CT — sagittal plane, index 92 — W/L 1800/400 HU — 228 mm image width
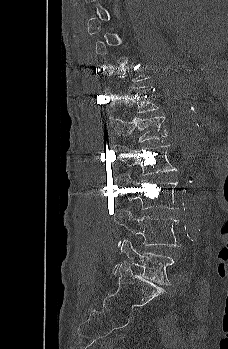 Columns x1, y1, x2, y2 give each box's top-left and bottom-right pixels.
Not every vertebra on this slice has a box: a vertebra is boxed only from the first to the last slice where its cross-section is at least a third of its largest, and this slice is outside that range for at least one of them.
| vertebra | x1 | y1 | x2 | y2 |
|---|---|---|---|---|
| T12 | 106 | 86 | 159 | 112 |
| L1 | 107 | 113 | 167 | 142 |
| L2 | 110 | 144 | 177 | 175 |
| L3 | 114 | 175 | 178 | 209 |
| L4 | 112 | 208 | 181 | 247 |
| L5 | 116 | 238 | 176 | 284 |